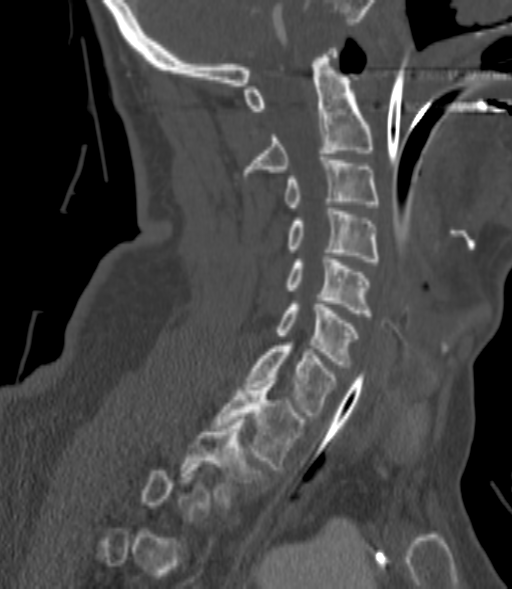 Spine computed tomography; sagittal view; bone-window reconstruction; 200 mm across the image
Box values are [left, top, right, bottom] in pixels.
Not every vertebra on this slice has a box: a vertebra is boxed only from the first to the last slice where its cross-section is at least a third of its largest, and this slice is outside that range for at least one of them.
{"vertebrae":{"C2":[244,48,374,175],"C3":[285,157,379,210],"C4":[288,208,379,261],"C5":[285,256,371,316],"C6":[277,301,358,367],"C7":[247,342,335,415],"T1":[213,378,304,469],"T2":[180,419,263,505]}}